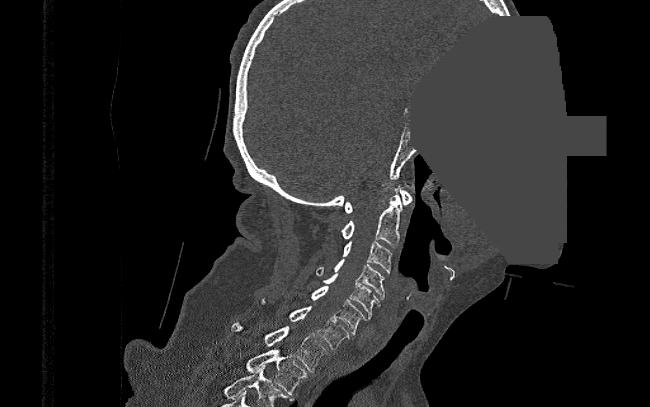

Spine CT; sagittal view; bone window; 650x407 px; part of the image has been replaced by a constant value
Boxes: x1 y1 x2 y2 (pixel coords, space-separated). 9 vertebrae labeled — C1 at 344 188 412 213; C2 at 342 190 403 248; C3 at 343 241 391 273; C4 at 316 259 384 299; C5 at 322 273 380 319; C6 at 311 286 366 334; C7 at 263 301 349 349; T1 at 230 322 327 371; T2 at 245 349 306 395.